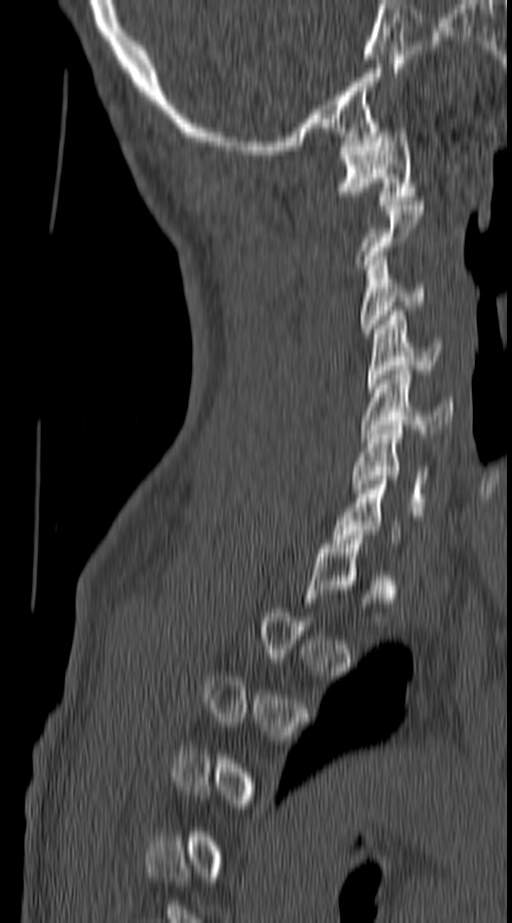

Computed tomography of the spine — sagittal view

Box edges are left/top/right/bottom in pixels.
Each vertebra is boxed only on the slices from the first to the last where its cross-section reaches a third of its largest, so a slice outside that range leaves it unboxed.
C1: left=338, top=128, right=414, bottom=205
C3: left=360, top=256, right=425, bottom=333
C4: left=367, top=311, right=441, bottom=388
C5: left=361, top=370, right=453, bottom=442
C6: left=350, top=425, right=430, bottom=511